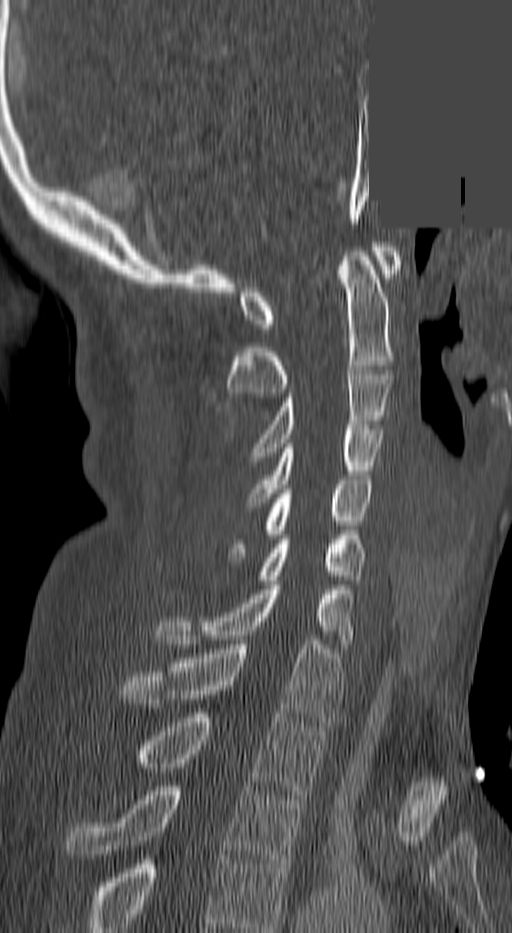

CT spine. sagittal view. W/L 1800/400 HU. 512x933 px. a region of this slice is masked with a uniform fill. Each box given as x1,y1,x2,y2.
In this scan, the topmost labeled vertebra is C1 and the lowest is T3.
| vertebra | x1 | y1 | x2 | y2 |
|---|---|---|---|---|
| C1 | 239 | 247 | 399 | 328 |
| C2 | 228 | 251 | 392 | 397 |
| C3 | 256 | 370 | 392 | 461 |
| C4 | 248 | 425 | 381 | 502 |
| C5 | 230 | 480 | 370 | 557 |
| C6 | 261 | 539 | 363 | 584 |
| C7 | 155 | 585 | 351 | 648 |
| T1 | 122 | 640 | 340 | 726 |
| T2 | 133 | 713 | 323 | 794 |
| T3 | 67 | 786 | 304 | 868 |